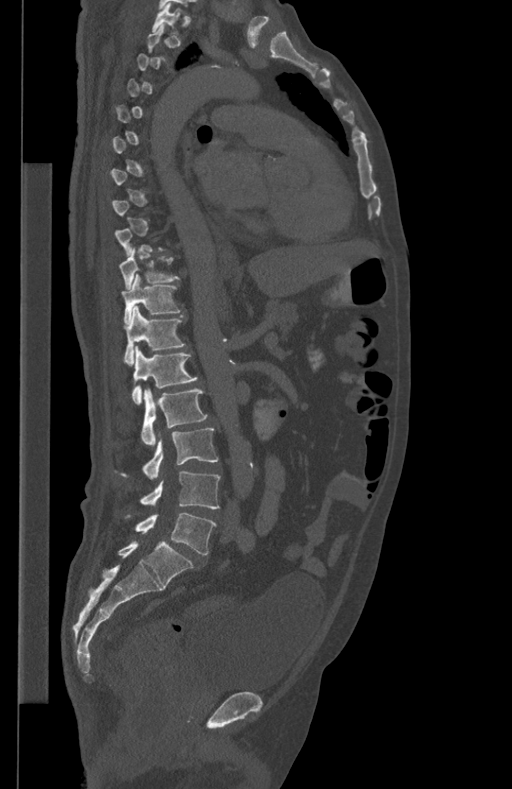

Spine computed tomography · sagittal view · image width 434 mm · 512x789 px
A vertebra is boxed only from the first to the last slice where its cross-section is at least a third of its largest; slices outside that range leave it without a box.
<vertebrae><v name="L5" x1="136" y1="513" x2="216" y2="554"/><v name="L4" x1="140" y1="471" x2="220" y2="509"/><v name="L3" x1="121" y1="428" x2="218" y2="479"/><v name="L2" x1="141" y1="389" x2="207" y2="446"/><v name="L1" x1="132" y1="345" x2="197" y2="405"/><v name="T12" x1="124" y1="306" x2="185" y2="364"/><v name="T11" x1="121" y1="273" x2="181" y2="324"/><v name="T10" x1="119" y1="248" x2="179" y2="288"/><v name="T1" x1="152" y1="3" x2="181" y2="33"/></vertebrae>